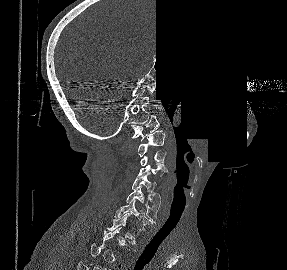 Spine computed tomography; sagittal reformat; a region is blanked to uniform black, ending in a straight edge
Each vertebra maps to its box as [x1, y1, x2, y2], the pixel coordinates of its top-left and bottom-right corners.
A vertebra is boxed only from the first to the last slice where its cross-section is at least a third of its largest; slices outside that range leave it without a box.
{"vertebrae":{"T1":[107,213,137,244],"C7":[114,199,153,228],"C6":[126,187,159,223],"C5":[132,172,160,204],"C4":[137,163,167,176],"C3":[140,150,166,166],"C2":[138,130,165,156],"C1":[131,115,159,140]}}